CT, spine · sagittal plane, index 73 · bone-window reconstruction · scan covers 23 annotated vertebrae · a region is masked with a constant gray value
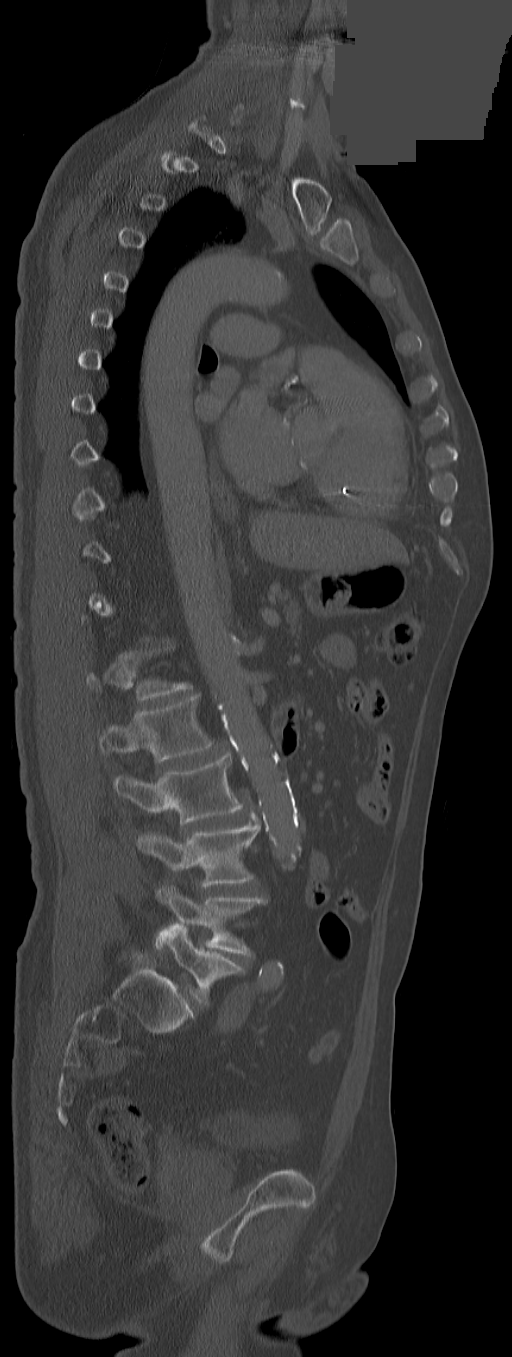

Box edges are left/top/right/bottom in pixels.
Each vertebra is boxed only on the slices from the first to the last where its cross-section reaches a third of its largest, so a slice outside that range leaves it unboxed.
L1: left=99, top=696, right=212, bottom=761
L2: left=115, top=752, right=244, bottom=825
L3: left=138, top=822, right=260, bottom=886
L4: left=155, top=886, right=265, bottom=955
L5: left=157, top=924, right=244, bottom=1004